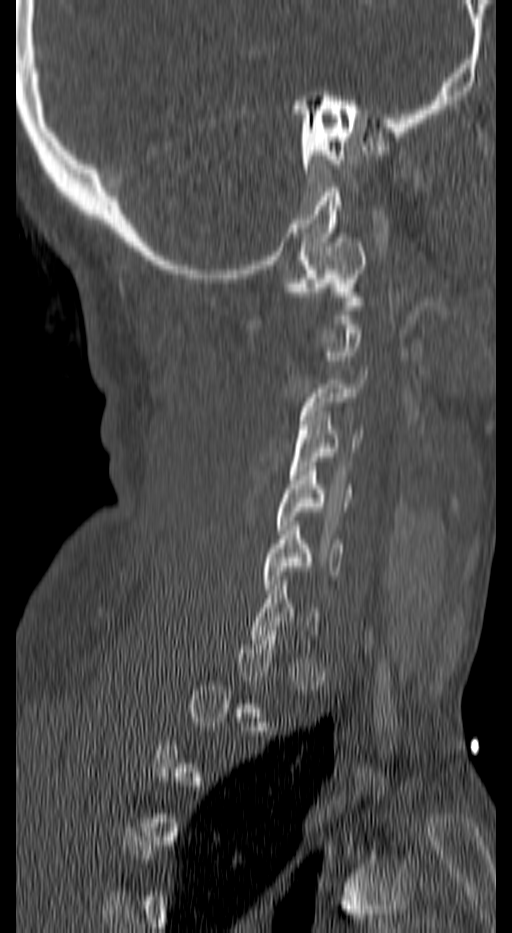
Spine computed tomography · sagittal view
Box edges are left/top/right/bottom in pixels.
Each vertebra is boxed only on the slices from the first to the last where its cross-section reaches a third of its largest, so a slice outside that range leaves it unboxed.
| vertebra | x1 | y1 | x2 | y2 |
|---|---|---|---|---|
| C6 | 265 | 521 | 344 | 593 |
| C5 | 276 | 466 | 351 | 534 |
| C4 | 290 | 411 | 362 | 479 |
| C3 | 299 | 370 | 366 | 438 |
| C1 | 286 | 238 | 366 | 305 |